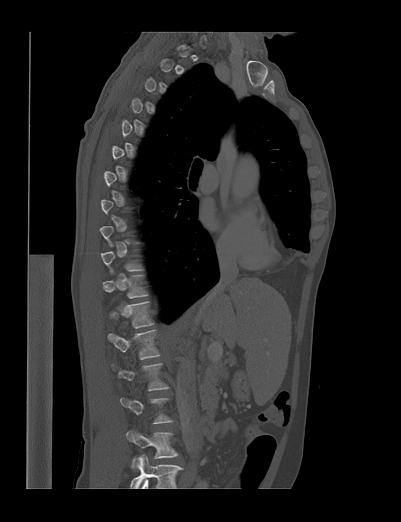 CT spine · sagittal view · 401x522 px
Each box is [x1, y1, x2, y2] in pixels: top-left corner, then bottom-right corner.
A vertebra is boxed only from the first to the last slice where its cross-section is at least a third of its largest; slices outside that range leave it without a box.
This scan's labels start at T1 at the top and end at L4 at the bottom.
{"vertebrae":{"T11":[102,275,147,298],"T12":[109,301,153,328],"L1":[108,329,159,359],"L2":[111,363,168,390],"L4":[126,430,178,467]}}